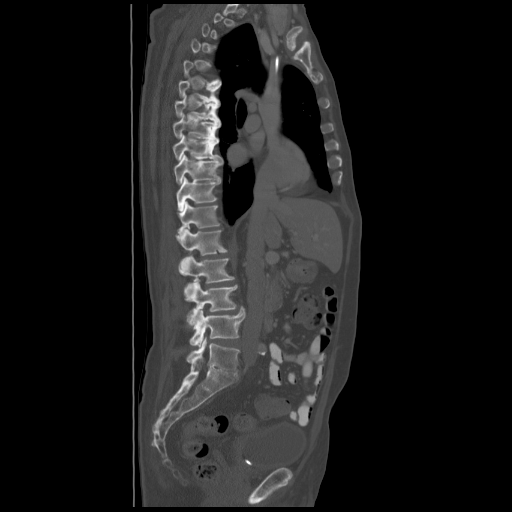

Spine computed tomography — sagittal view — 512x512 px
Boxes below are [x1, y1, x2, y2] in pixels.
Each vertebra is boxed only on the slices from the first to the last where its cross-section reaches a third of its largest, so a slice outside that range leaves it unboxed.
{"vertebrae":{"T6":[178,80,220,102],"T7":[175,95,219,121],"T8":[173,113,220,139],"T9":[173,135,222,160],"T10":[174,154,223,183],"T11":[177,177,220,210],"T12":[177,201,219,233],"L1":[177,229,227,274],"L2":[183,256,234,298],"L3":[186,280,237,325],"L4":[189,307,245,346],"L5":[187,337,240,375]}}